CT spine; sagittal reformat; W/L 1800/400 HU; 537x596 px
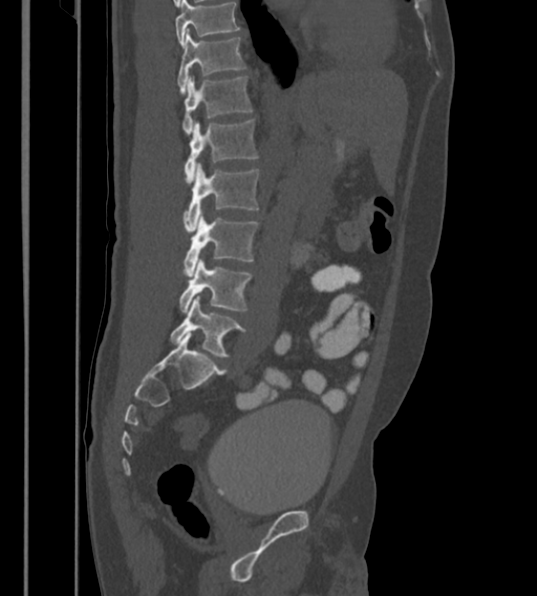
Box edges are left/top/right/bottom in pixels.
The highest labeled vertebra in this scan is T12; the lowest is L6.
In these labels the spine has an L6, a sixth lumbar vertebra below L5.
T12: left=177, top=29, right=245, bottom=93
L1: left=182, top=75, right=253, bottom=134
L2: left=185, top=119, right=258, bottom=184
L3: left=184, top=163, right=259, bottom=233
L4: left=182, top=210, right=259, bottom=276
L5: left=180, top=259, right=252, bottom=313
L6: left=170, top=296, right=245, bottom=356